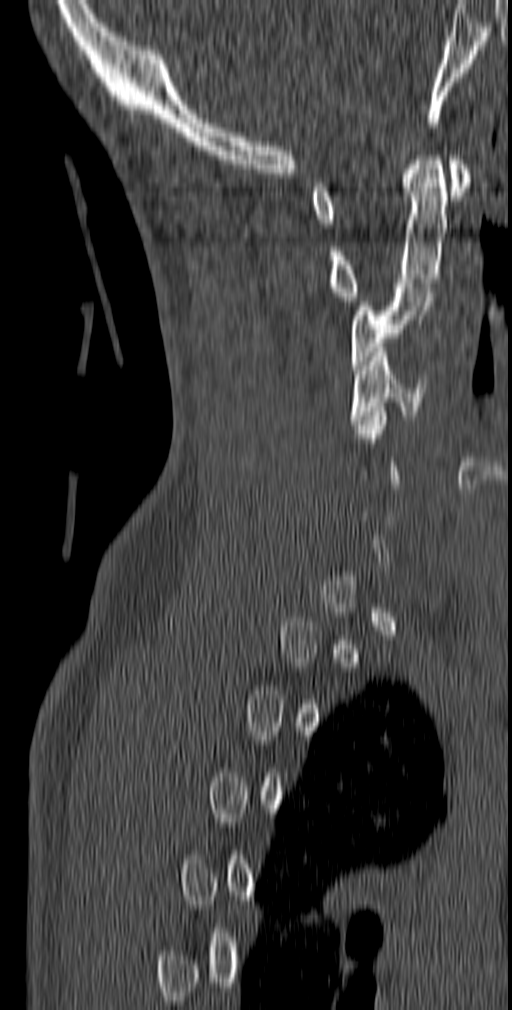 CT · sagittal view · bone-window reconstruction · 512x1010 px
Not every vertebra on this slice has a box: a vertebra is boxed only from the first to the last slice where its cross-section is at least a third of its largest, and this slice is outside that range for at least one of them.
<vertebrae><v name="C1" x1="311" y1="155" x2="470" y2="228"/><v name="C2" x1="328" y1="151" x2="447" y2="301"/><v name="C3" x1="351" y1="283" x2="433" y2="369"/><v name="C4" x1="350" y1="347" x2="427" y2="424"/></vertebrae>